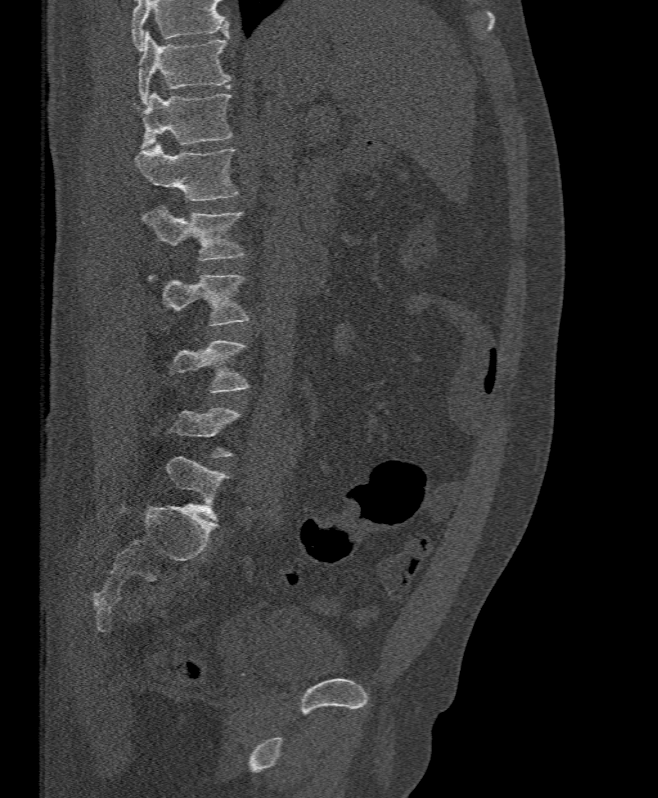
Computed tomography of the spine — sagittal view — 395 mm wide
Boxes are (x1, y1, x2, y2) in pixels. Each vertebra is boxed only on the slices from the first to the last where its cross-section reaches a third of its largest, so a slice outside that range leaves it unboxed. Vertebrae that run past the top of the scan are left unlabeled. 6 vertebrae labeled — L4 at (167, 340, 251, 392); L3 at (148, 273, 248, 326); L2 at (141, 205, 246, 261); L1 at (135, 143, 239, 201); T12 at (140, 93, 232, 149); T11 at (138, 32, 230, 104).